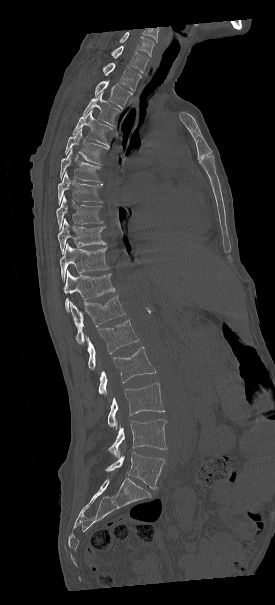
Computed tomography of the spine. 275 mm wide. sagittal view. bone window
Boxes: x1:y1:x2:y2 in pixels.
Labels in this scan begin with C7 at the top and end with L5 at the bottom.
Vertebra bounding boxes:
- C7: 90:44:148:72
- T1: 102:62:141:90
- T2: 94:80:132:108
- T3: 83:92:121:126
- T4: 72:110:115:146
- T5: 65:128:108:165
- T6: 60:149:102:183
- T7: 58:171:103:204
- T8: 56:196:103:230
- T9: 58:219:106:254
- T10: 60:244:109:280
- T11: 64:271:115:312
- T12: 70:296:125:343
- L1: 86:319:138:369
- L2: 98:347:156:396
- L3: 108:383:164:429
- L4: 108:419:167:456
- L5: 105:452:165:489